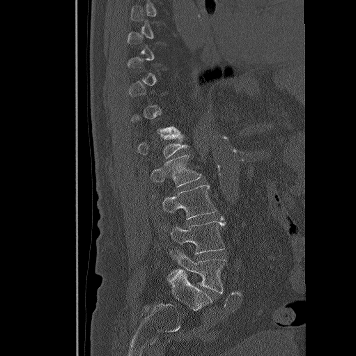
CT spine. sagittal view

In the table, x1 and y1 are a box's top-left corner and x2 and y2 its bottom-right corner, in pixels.
Not every vertebra on this slice has a box: a vertebra is boxed only from the first to the last slice where its cross-section is at least a third of its largest, and this slice is outside that range for at least one of them.
| vertebra | x1 | y1 | x2 | y2 |
|---|---|---|---|---|
| L1 | 138 | 133 | 188 | 158 |
| L2 | 150 | 154 | 201 | 186 |
| L3 | 162 | 185 | 216 | 219 |
| L4 | 171 | 216 | 225 | 254 |
| L5 | 168 | 250 | 225 | 293 |